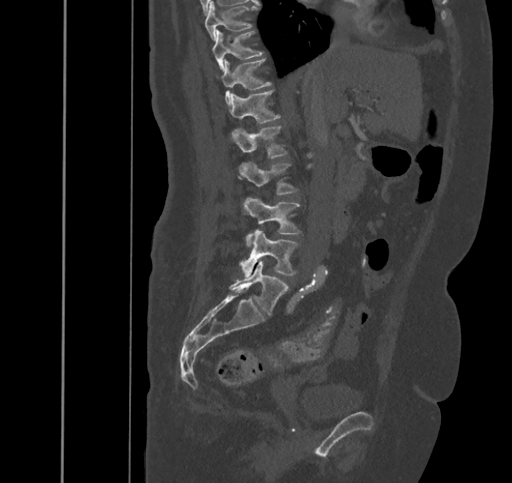
Computed tomography of the spine; sagittal view; W/L 1800/400 HU; 512x483 px

Each box given as x1,y1,x2,y2.
T9: x1=205, y1=2, x2=257, y2=40
T10: x1=212, y1=30, x2=261, y2=73
T11: x1=217, y1=59, x2=270, y2=105
T12: x1=227, y1=90, x2=280, y2=122
L1: x1=230, y1=126, x2=287, y2=157
L2: x1=238, y1=162, x2=297, y2=194
L3: x1=243, y1=197, x2=299, y2=245
L4: x1=240, y1=230, x2=296, y2=277
L5: x1=229, y1=261, x2=288, y2=314